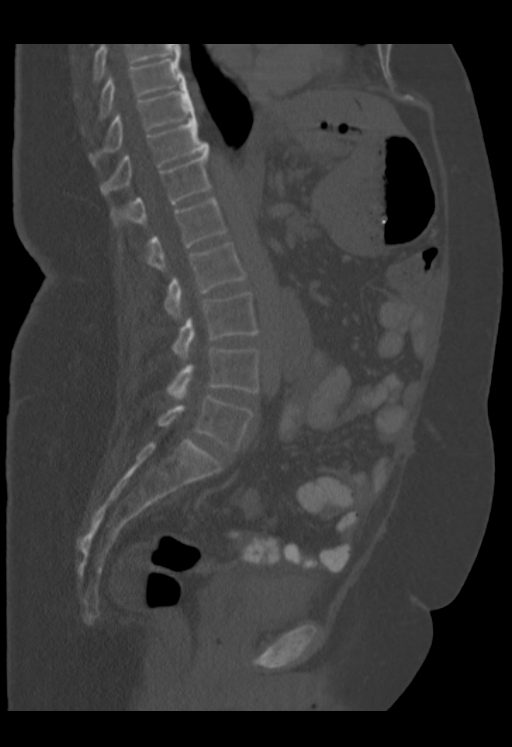 CT · sagittal view
Labels in this scan begin with T9 at the top and end with L5 at the bottom.
<vertebrae><v name="L5" x1="157" y1="396" x2="253" y2="450"/><v name="L4" x1="166" y1="347" x2="259" y2="399"/><v name="L3" x1="172" y1="292" x2="259" y2="359"/><v name="L2" x1="164" y1="242" x2="246" y2="318"/><v name="L1" x1="147" y1="197" x2="227" y2="270"/><v name="T12" x1="112" y1="146" x2="211" y2="224"/><v name="T11" x1="100" y1="118" x2="208" y2="194"/><v name="T10" x1="89" y1="83" x2="195" y2="165"/><v name="T9" x1="99" y1="56" x2="185" y2="119"/></vertebrae>